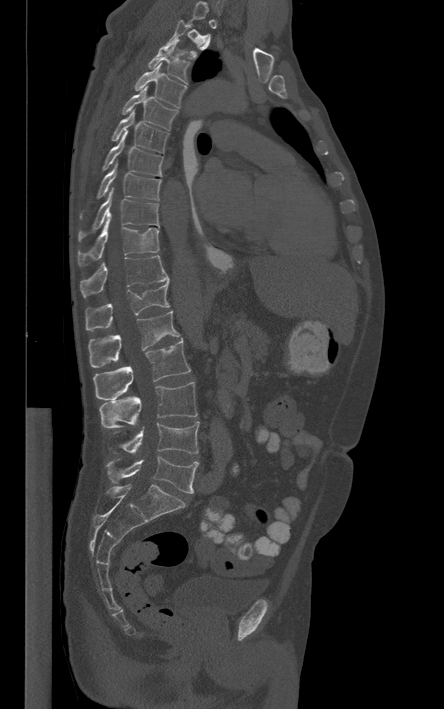

Computed tomography of the spine; 444 mm wide; sagittal view
Each box given as x1,y1,x2,y2. A vertebra is boxed only from the first to the last slice where its cross-section is at least a third of its largest; slices outside that range leave it without a box. The labeled vertebrae in this slice are: T3 at x1=148, y1=39, x2=189, y2=83, T4 at x1=134, y1=63, x2=187, y2=107, T5 at x1=121, y1=87, x2=178, y2=130, T6 at x1=111, y1=111, x2=169, y2=153, T7 at x1=102, y1=131, x2=163, y2=176, T8 at x1=80, y1=161, x2=161, y2=217, T9 at x1=78, y1=190, x2=158, y2=241, T10 at x1=78, y1=220, x2=159, y2=265, T11 at x1=80, y1=255, x2=169, y2=296, T12 at x1=85, y1=281, x2=169, y2=331, L1 at x1=88, y1=311, x2=179, y2=367, L2 at x1=94, y1=339, x2=190, y2=400, L3 at x1=100, y1=382, x2=197, y2=428, L4 at x1=121, y1=421, x2=199, y2=453, L5 at x1=106, y1=456, x2=198, y2=493.